CT, spine — sagittal reformat — 17 vertebrae labeled in this scan — image 350 mm wide
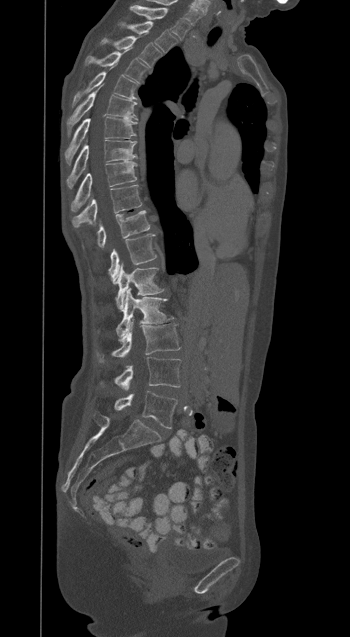 Columns x1, y1, x2, y2 give each box's top-left and bottom-right pixels.
| vertebra | x1 | y1 | x2 | y2 |
|---|---|---|---|---|
| L5 | 114 | 391 | 177 | 428 |
| L4 | 100 | 357 | 180 | 390 |
| L3 | 97 | 321 | 180 | 362 |
| L2 | 116 | 288 | 172 | 339 |
| L1 | 115 | 264 | 164 | 310 |
| T12 | 108 | 234 | 156 | 283 |
| T11 | 97 | 210 | 150 | 247 |
| T10 | 72 | 185 | 141 | 227 |
| T9 | 71 | 161 | 136 | 212 |
| T8 | 66 | 140 | 136 | 187 |
| T7 | 65 | 117 | 137 | 163 |
| T6 | 67 | 89 | 137 | 133 |
| T5 | 73 | 71 | 136 | 104 |
| T4 | 86 | 51 | 147 | 80 |
| T3 | 114 | 36 | 161 | 66 |
| T2 | 122 | 21 | 177 | 52 |
| T1 | 130 | 5 | 189 | 38 |